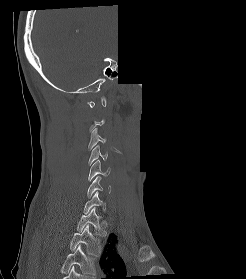

Spine CT; sagittal view; part of the scan has been removed (filled with constant black)
Each vertebra is boxed only on the slices from the first to the last where its cross-section reaches a third of its largest, so a slice outside that range leaves it unboxed.
This scan's labels start at C1 at the top and end at T2 at the bottom.
<vertebrae><v name="C3" x1="88" y1="128" x2="106" y2="149"/><v name="C4" x1="88" y1="145" x2="107" y2="165"/><v name="C5" x1="88" y1="160" x2="110" y2="180"/><v name="C6" x1="87" y1="176" x2="110" y2="198"/><v name="C7" x1="83" y1="191" x2="105" y2="213"/><v name="T1" x1="76" y1="207" x2="106" y2="236"/><v name="T2" x1="70" y1="224" x2="100" y2="256"/></vertebrae>